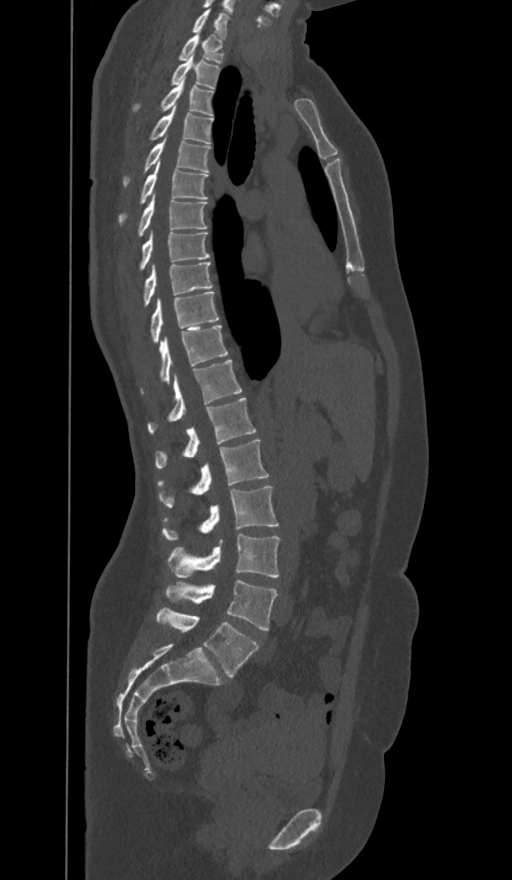

Spine computed tomography — sagittal view
Each vertebra maps to its box as [x1, y1, x2, y2], the pixel coordinates of its top-left and bottom-right corners.
The labels name a sixth lumbar vertebra for this spine: L6, after L5.
{"vertebrae":{"C7":[191,9,229,38],"T1":[178,33,223,63],"T2":[171,55,219,88],"T3":[133,80,212,115],"T4":[149,106,212,143],"T5":[123,140,210,188],"T6":[119,159,207,224],"T7":[137,195,207,236],"T8":[139,233,210,270],"T9":[142,262,212,306],"T10":[150,291,218,343],"T11":[141,325,227,394],"T12":[148,360,241,434],"L1":[156,398,256,468],"L2":[157,439,269,507],"L3":[161,485,278,541],"L4":[168,533,279,578],"L5":[165,580,277,630],"L6":[156,607,258,677]}}